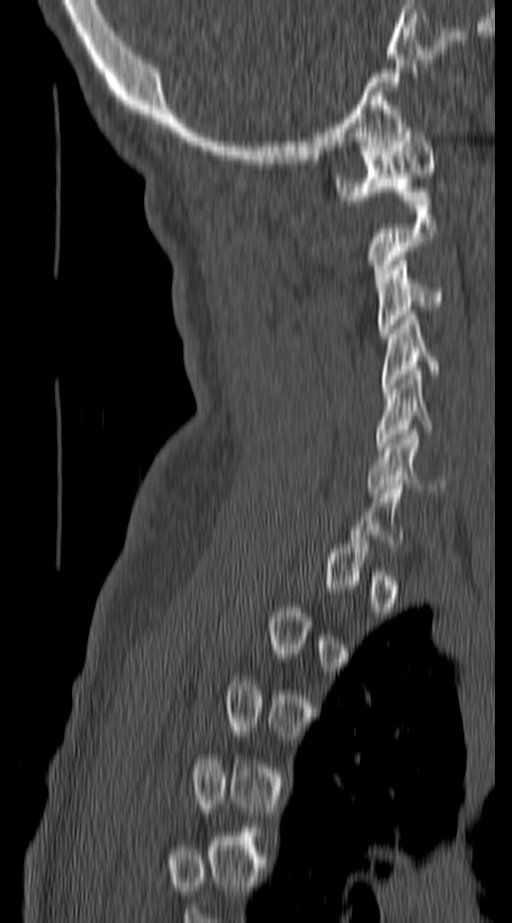

CT spine · sagittal view · Bone window (WL 400, WW 1800) · image width 140 mm

A vertebra is boxed only from the first to the last slice where its cross-section is at least a third of its largest; slices outside that range leave it without a box.
<vertebrae><v name="C6" x1="367" y1="430" x2="446" y2="493"/><v name="C5" x1="373" y1="370" x2="432" y2="452"/><v name="C4" x1="382" y1="315" x2="443" y2="388"/><v name="C3" x1="378" y1="256" x2="445" y2="337"/><v name="C2" x1="367" y1="201" x2="436" y2="287"/><v name="C1" x1="334" y1="128" x2="436" y2="200"/></vertebrae>